CT spine. Sagittal slice 230/512
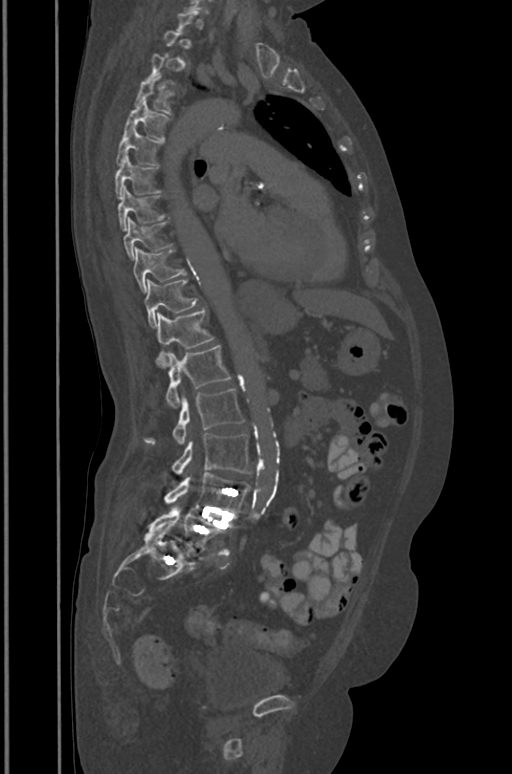

Bounding boxes as [x1, y1, x2, y2] in pixel coordinates.
Not every vertebra on this slice has a box: a vertebra is boxed only from the first to the last slice where its cross-section is at least a third of its largest, and this slice is outside that range for at least one of them.
Vertebra bounding boxes:
- T4: [135, 72, 174, 113]
- T5: [124, 99, 171, 139]
- T6: [116, 127, 161, 165]
- T7: [115, 155, 160, 197]
- T8: [118, 187, 165, 231]
- T9: [123, 218, 172, 258]
- T10: [134, 248, 185, 292]
- T11: [145, 280, 197, 327]
- T12: [156, 310, 214, 367]
- L1: [166, 345, 231, 407]
- L2: [144, 389, 244, 444]
- L3: [172, 433, 250, 474]
- L4: [164, 472, 250, 514]
- L5: [150, 510, 224, 550]